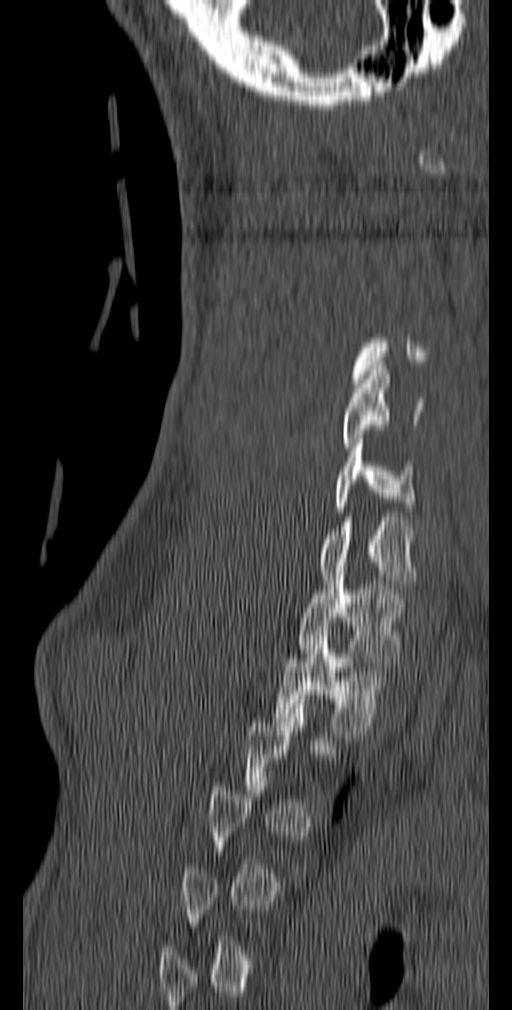
CT spine · 140 mm wide · sagittal view
Boxes: x1:y1:x2:y2 in pixels.
A vertebra gets a box only on the slices from the first to the last where its cross-section is at least a third of its largest; on a slice outside that range it gets none.
C5: 341:366:425:447
C6: 334:439:416:516
C7: 320:517:417:589
T1: 298:567:405:666
T2: 274:631:388:735